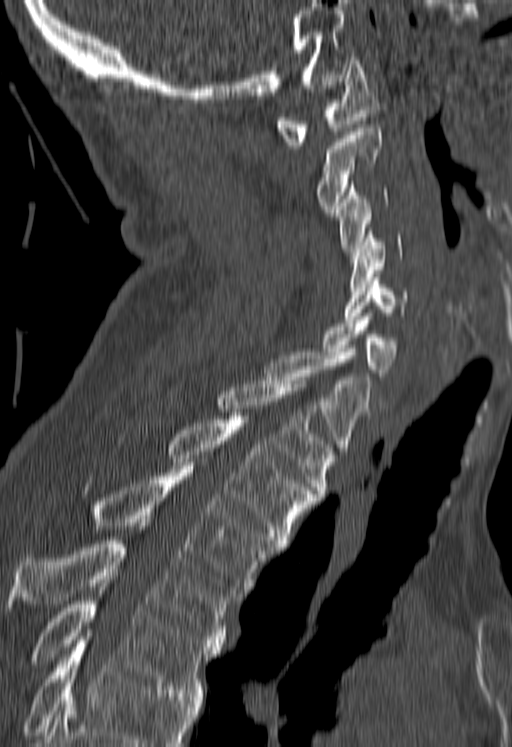 Spine computed tomography; sagittal view
Boxes: x1 y1 x2 y2 (pixel coords, space-separated).
Where the bottom of the scan cuts through a vertebra, that vertebra gets no label or box.
Vertebra bounding boxes:
- C1: 276 57 381 148
- C2: 317 128 381 212
- C3: 337 181 387 255
- C4: 350 231 401 291
- C5: 345 277 407 319
- C6: 322 316 401 408
- C7: 265 352 370 454
- T1: 214 380 336 497
- T2: 166 416 316 547
- T3: 89 466 276 596
- T4: 6 540 236 643
- T5: 32 583 222 696